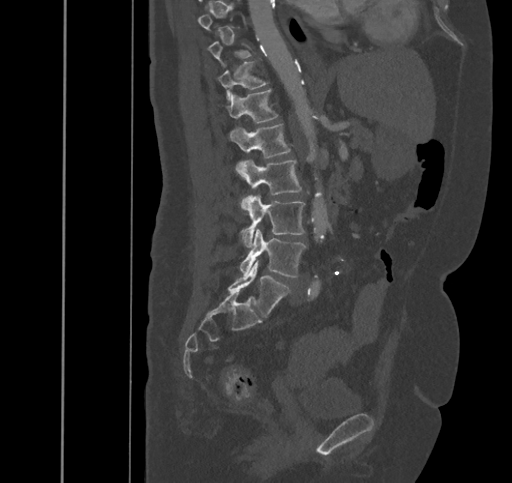

Spine CT · sagittal view · Bone window (WL 400, WW 1800)

Bounding boxes as [x1, y1, x2, y2] in pixel coordinates.
A vertebra gets a box only on the slices from the first to the last where its cross-section is at least a third of its largest; on a slice outside that range it gets none.
L5: [227, 260, 289, 317]
L4: [240, 228, 305, 277]
L3: [243, 195, 304, 246]
L2: [237, 161, 302, 206]
L1: [229, 123, 290, 175]
T12: [218, 89, 277, 122]
T11: [216, 62, 267, 102]